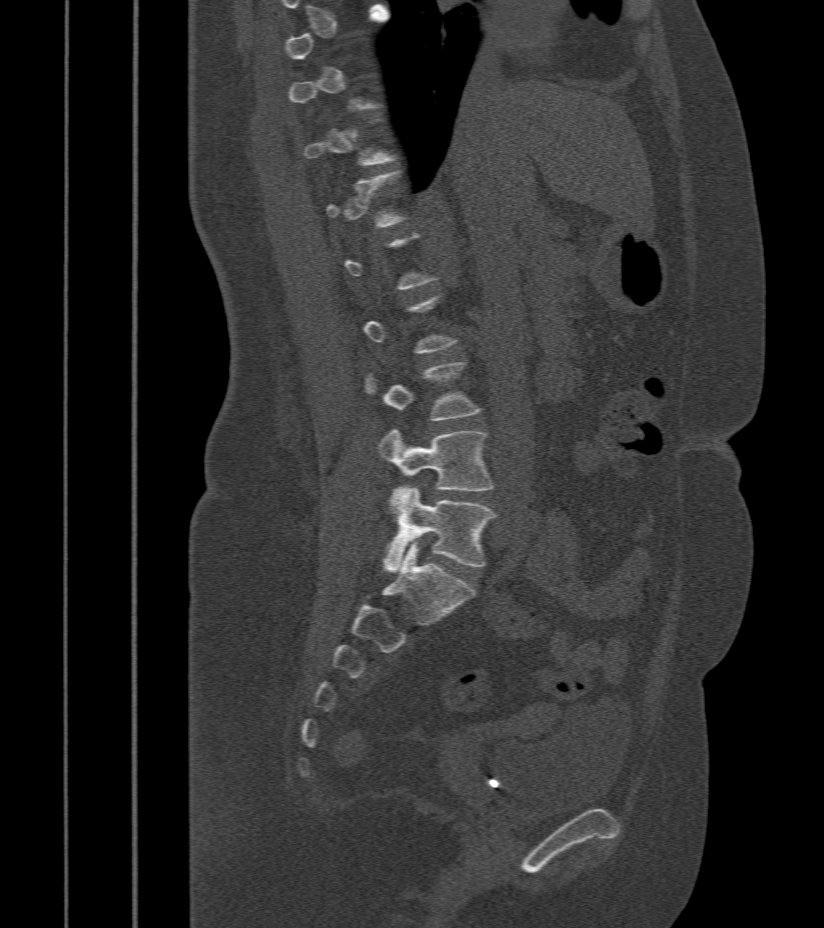 Spine CT · image width 412 mm · sagittal view
Boxes: x1 y1 x2 y2 (pixel coords, space-separated). Not every vertebra on this slice has a box: a vertebra is boxed only from the first to the last slice where its cross-section is at least a third of its largest, and this slice is outside that range for at least one of them. Vertebrae labeled: L4 at 378 429 493 490, L5 at 381 486 496 572.